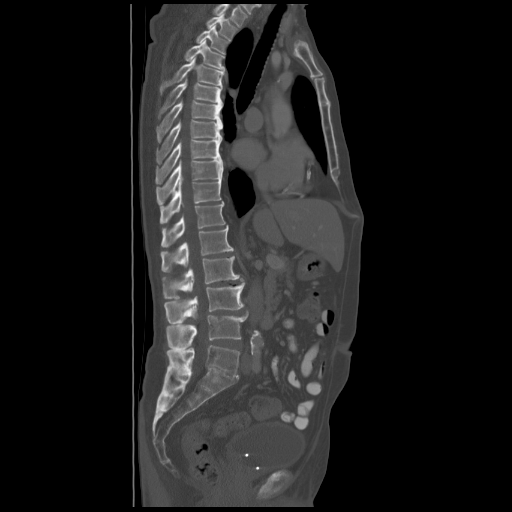

CT, spine. 600 mm wide. sagittal view. bone-window reconstruction. 512x512 px. Boxes are given in columns x1, y1, x2, y2, the pixel coordinates of their top-left and bottom-right corners.
This scan's labels start at T2 at the top and end at L5 at the bottom.
| vertebra | x1 | y1 | x2 | y2 |
|---|---|---|---|---|
| T2 | 206 | 14 | 237 | 40 |
| T3 | 196 | 26 | 229 | 54 |
| T4 | 184 | 40 | 225 | 71 |
| T5 | 160 | 58 | 224 | 95 |
| T6 | 159 | 79 | 222 | 118 |
| T7 | 156 | 101 | 222 | 141 |
| T8 | 156 | 120 | 222 | 163 |
| T9 | 155 | 139 | 221 | 182 |
| T10 | 156 | 158 | 223 | 204 |
| T11 | 160 | 179 | 221 | 223 |
| T12 | 161 | 201 | 225 | 247 |
| L1 | 161 | 225 | 234 | 272 |
| L2 | 162 | 256 | 242 | 298 |
| L3 | 164 | 282 | 245 | 323 |
| L4 | 166 | 315 | 247 | 349 |
| L5 | 166 | 345 | 240 | 377 |